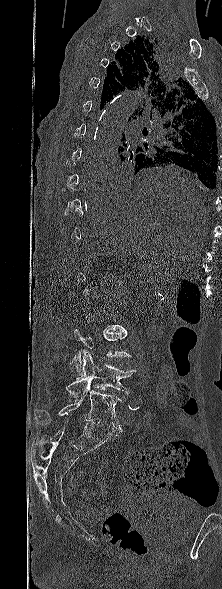 Spine CT; sagittal view; bone window; 222x589 px
Bounding boxes as [x1, y1, x2, y2] in pixel coordinates.
Each vertebra is boxed only on the slices from the first to the last where its cross-section reaches a third of its largest, so a slice outside that range leaves it unboxed.
L5: [35, 385, 123, 433]
L4: [66, 350, 135, 399]
L3: [69, 327, 131, 376]